Computed tomography of the spine · sagittal view · bone-window reconstruction
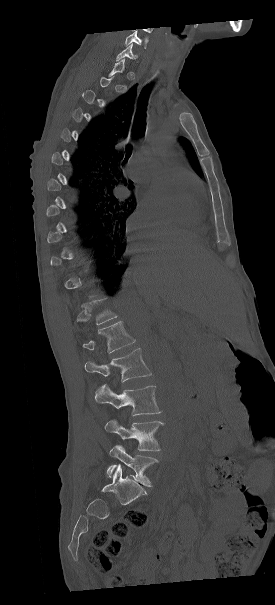 Boxes below are [x1, y1, x2, y2] in pixels.
Each vertebra is boxed only on the slices from the first to the last where its cross-section reaches a third of its largest, so a slice outside that range leaves it unboxed.
{"vertebrae":{"T12":[81,298,117,325],"L1":[82,321,135,352],"L2":[84,348,151,381],"L3":[95,384,161,415],"L4":[105,417,163,450],"L5":[107,443,158,487]}}